CT · sagittal plane, index 120 · Bone window (WL 400, WW 1800) · 9 vertebrae labeled in this scan
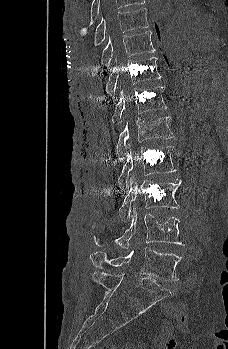

Bounding boxes as [x1, y1, x2, y2] in pixel coordinates.
Vertebra bounding boxes:
- T9: [94, 8, 149, 45]
- T10: [101, 30, 155, 66]
- T11: [106, 56, 162, 95]
- T12: [111, 85, 167, 129]
- L1: [115, 116, 174, 162]
- L2: [117, 145, 176, 188]
- L3: [118, 173, 181, 222]
- L4: [92, 207, 184, 249]
- L5: [90, 247, 182, 280]